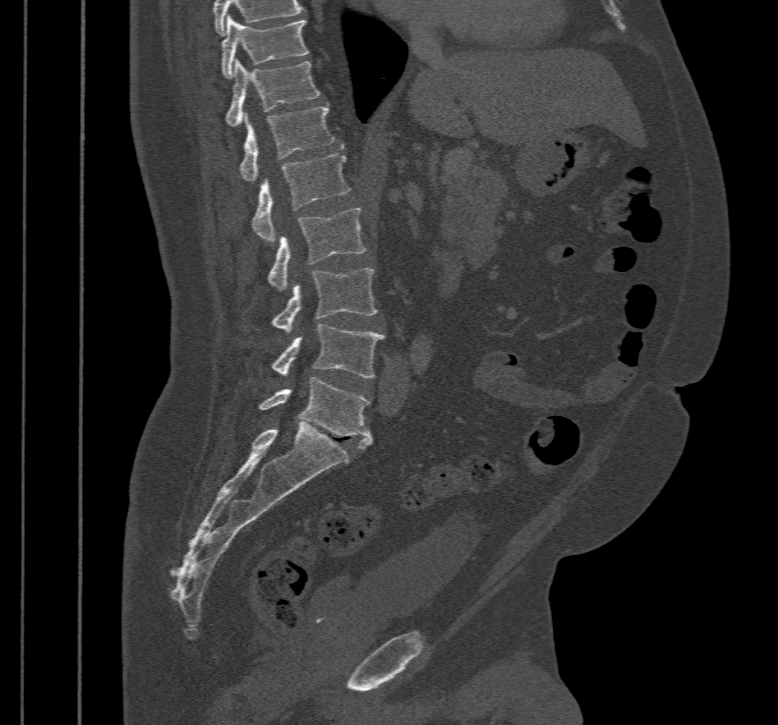

Spine CT — sagittal view — W/L 1800/400 HU
Boxes are (x1, y1, x2, y2) in pixels.
Vertebra bounding boxes:
- T10: (222, 15, 309, 78)
- T11: (225, 60, 321, 126)
- T12: (240, 105, 335, 181)
- L1: (252, 153, 350, 241)
- L2: (266, 209, 365, 289)
- L3: (272, 268, 378, 331)
- L4: (272, 324, 385, 378)
- L5: (258, 377, 371, 448)